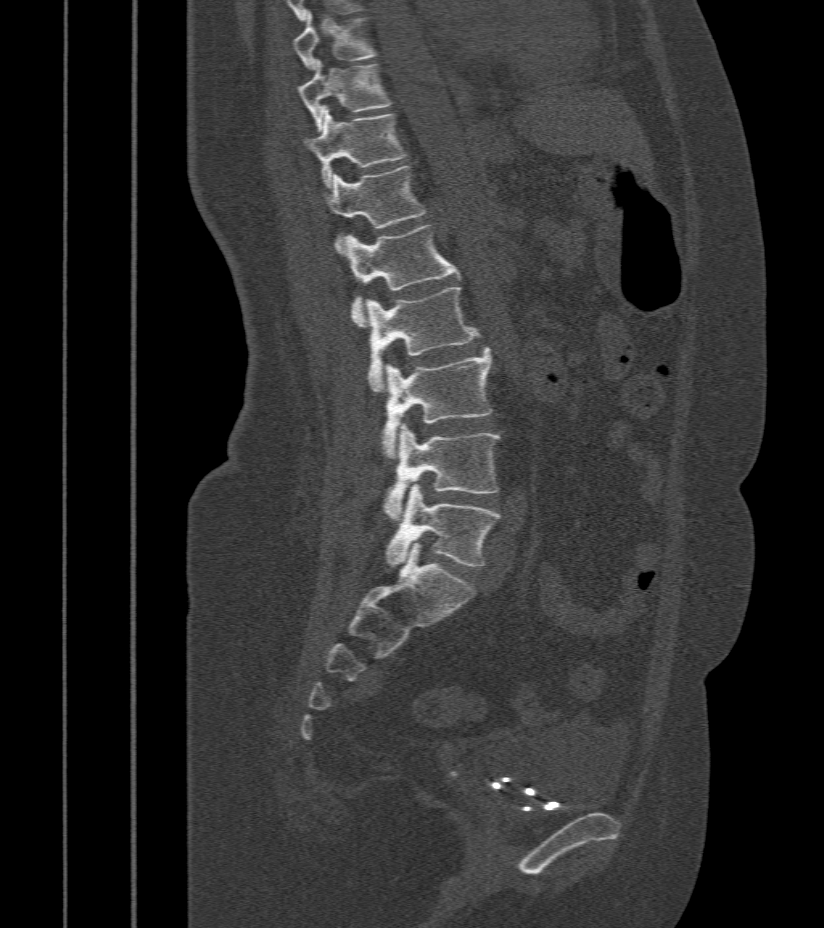 Spine computed tomography · sagittal reformat · Bone window (WL 400, WW 1800) · 824x928 px
Each box is [x1, y1, x2, y2] in pixels: top-left corner, then bottom-right corner.
{"vertebrae":{"L5":[386,485,501,566],"L4":[383,423,501,520],"L3":[381,349,493,460],"L2":[365,287,479,392],"L1":[341,225,459,326],"T12":[323,167,427,252],"T11":[304,107,406,186],"T10":[298,59,390,130],"T9":[295,13,377,70]}}